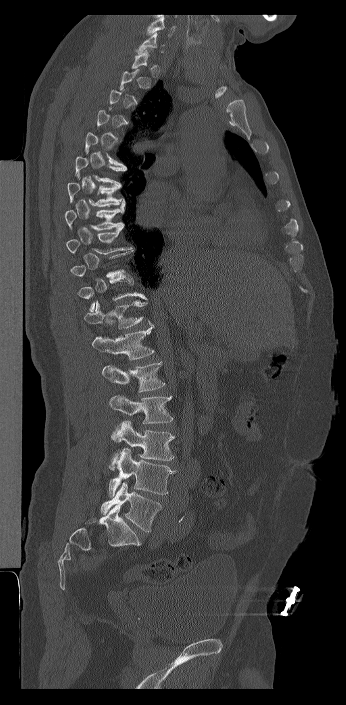
CT — sagittal view — 346x705 px
In the table, x1 and y1 are a box's top-left corner and x2 and y2 its bottom-right corner, in pixels.
A vertebra is boxed only from the first to the last slice where its cross-section is at least a third of its largest; slices outside that range leave it without a box.
Labels in this scan begin with C7 at the top and end with L6 at the bottom.
These labels give the spine a sixth lumbar vertebra, L6, below L5.
| vertebra | x1 | y1 | x2 | y2 |
|---|---|---|---|---|
| C7 | 135 | 32 | 164 | 53 |
| T6 | 75 | 156 | 126 | 186 |
| T7 | 67 | 182 | 121 | 206 |
| T8 | 64 | 199 | 125 | 230 |
| T9 | 65 | 227 | 132 | 254 |
| T11 | 77 | 272 | 146 | 311 |
| T12 | 84 | 300 | 151 | 329 |
| L1 | 92 | 324 | 154 | 360 |
| L2 | 102 | 361 | 165 | 392 |
| L3 | 109 | 395 | 173 | 424 |
| L4 | 109 | 420 | 174 | 471 |
| L5 | 106 | 448 | 175 | 496 |
| L6 | 100 | 482 | 162 | 532 |